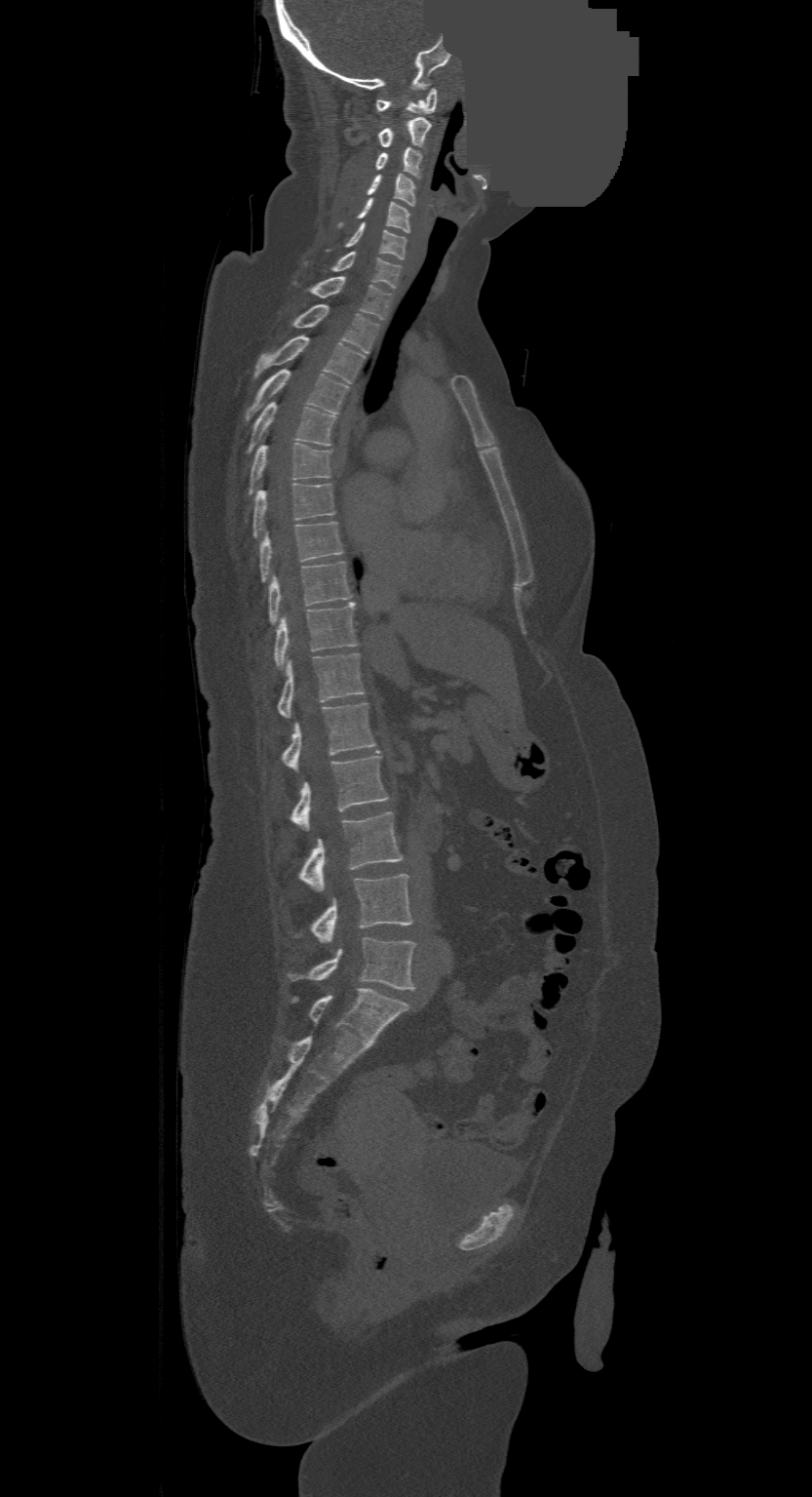
CT, spine. sagittal view. Bone window (WL 400, WW 1800). a region of this slice is masked with a uniform fill
In this scan, the topmost labeled vertebra is C1 and the lowest is L4.
<vertebrae><v name="L4" x1="290" y1="938" x2="414" y2="989"/><v name="L3" x1="313" y1="873" x2="411" y2="944"/><v name="L2" x1="300" y1="811" x2="402" y2="891"/><v name="L1" x1="291" y1="751" x2="389" y2="832"/><v name="T12" x1="283" y1="702" x2="376" y2="771"/><v name="T11" x1="278" y1="653" x2="364" y2="718"/><v name="T10" x1="275" y1="602" x2="356" y2="667"/><v name="T9" x1="268" y1="561" x2="351" y2="623"/><v name="T8" x1="260" y1="522" x2="343" y2="579"/><v name="T7" x1="253" y1="483" x2="335" y2="535"/><v name="T6" x1="250" y1="443" x2="332" y2="492"/><v name="T5" x1="250" y1="402" x2="335" y2="450"/><v name="T4" x1="246" y1="370" x2="348" y2="418"/><v name="T3" x1="255" y1="335" x2="364" y2="383"/><v name="T2" x1="293" y1="304" x2="380" y2="352"/><v name="T1" x1="313" y1="277" x2="391" y2="320"/><v name="C7" x1="333" y1="251" x2="401" y2="287"/><v name="C6" x1="346" y1="223" x2="406" y2="259"/><v name="C5" x1="359" y1="199" x2="410" y2="232"/><v name="C4" x1="367" y1="173" x2="414" y2="206"/><v name="C3" x1="376" y1="146" x2="421" y2="177"/><v name="C2" x1="379" y1="117" x2="431" y2="147"/><v name="C1" x1="376" y1="88" x2="436" y2="115"/></vertebrae>